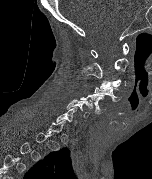 CT, spine — sagittal view — W/L 1800/400 HU. Boxes: x1 y1 x2 y2 (pixel coords, space-separated). Not every vertebra on this slice has a box: a vertebra is boxed only from the first to the last slice where its cross-section is at least a third of its largest, and this slice is outside that range for at least one of them. 6 vertebrae labeled — C1 at 91 43 128 57; C2 at 81 58 128 78; C3 at 100 79 126 89; C4 at 94 87 121 102; C5 at 80 93 105 114; C6 at 65 99 93 117.